Spine CT — 350 mm image width — sagittal plane, index 271 — a uniform gray block covers part of the image
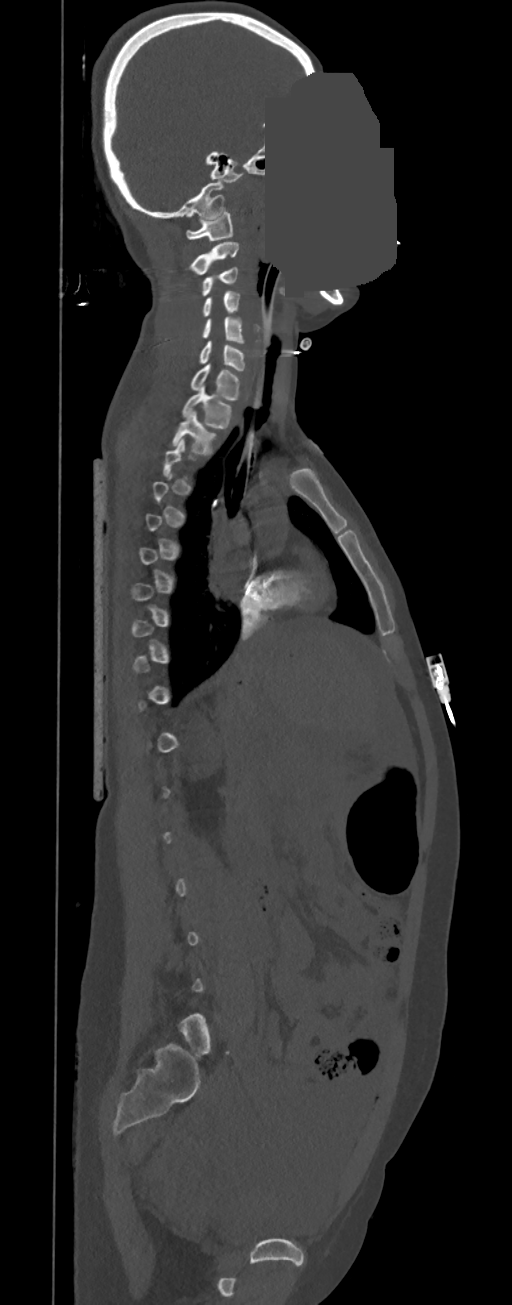

Each vertebra is boxed only on the slices from the first to the last where its cross-section reaches a third of its largest, so a slice outside that range leaves it unboxed.
<vertebrae><v name="C1" x1="186" y1="212" x2="233" y2="241"/><v name="C2" x1="190" y1="241" x2="239" y2="274"/><v name="C3" x1="202" y1="267" x2="237" y2="295"/><v name="C4" x1="202" y1="291" x2="239" y2="316"/><v name="C5" x1="202" y1="316" x2="243" y2="343"/><v name="C6" x1="199" y1="341" x2="245" y2="370"/><v name="C7" x1="190" y1="363" x2="240" y2="401"/><v name="T1" x1="183" y1="386" x2="231" y2="428"/><v name="T2" x1="172" y1="411" x2="215" y2="456"/></vertebrae>